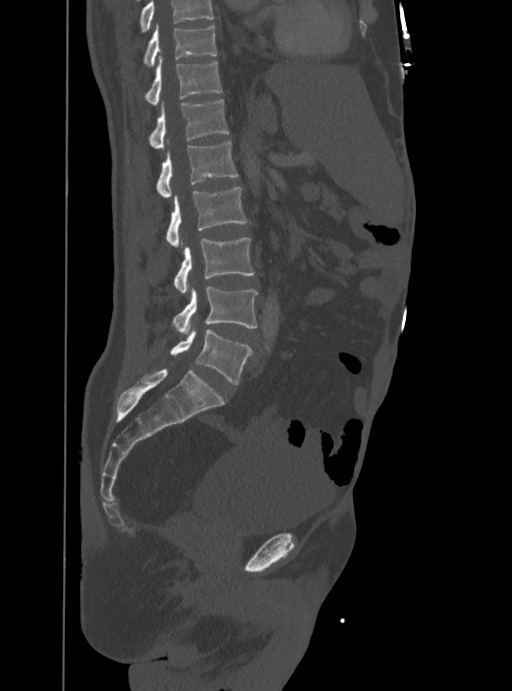

CT spine. sagittal view. bone-window reconstruction
Bounding boxes as [x1, y1, x2, y2] in pixel coordinates.
Vertebrae that run past the top of the scan are left unlabeled.
Vertebra bounding boxes:
- L5: [170, 329, 251, 384]
- L4: [173, 286, 257, 334]
- L3: [174, 238, 254, 294]
- L2: [166, 188, 247, 247]
- L1: [157, 141, 238, 199]
- T12: [149, 99, 228, 147]
- T11: [145, 57, 222, 105]
- T10: [144, 24, 217, 67]